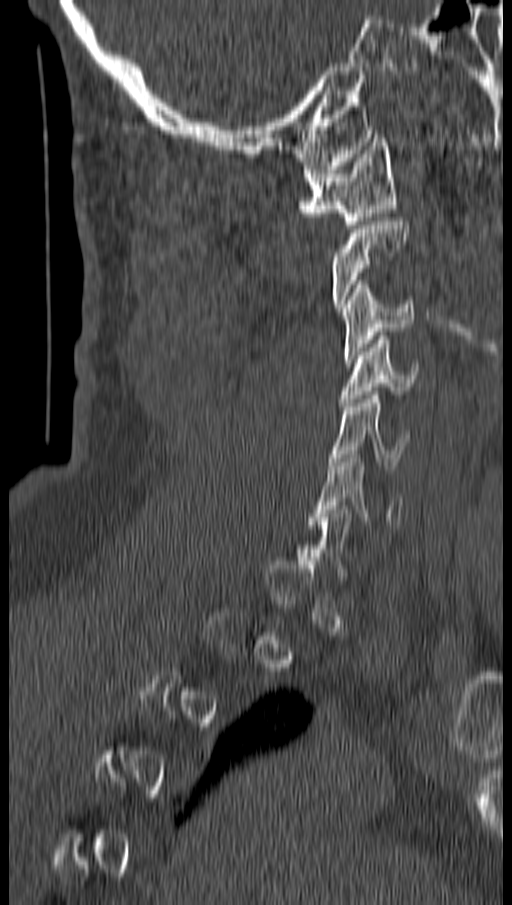

Computed tomography of the spine. sagittal view. Each box given as x1,y1,x2,y2. A vertebra gets a box only on the slices from the first to the last where its cross-section is at least a third of its largest; on a slice outside that range it gets none. Vertebrae labeled: C1 at x1=298, y1=138, x2=395, y2=228, C3 at x1=342, y1=280, x2=414, y2=362, C4 at x1=339, y1=336, x2=418, y2=406, C5 at x1=330, y1=391, x2=409, y2=469, C6 at x1=311, y1=454, x2=404, y2=528.